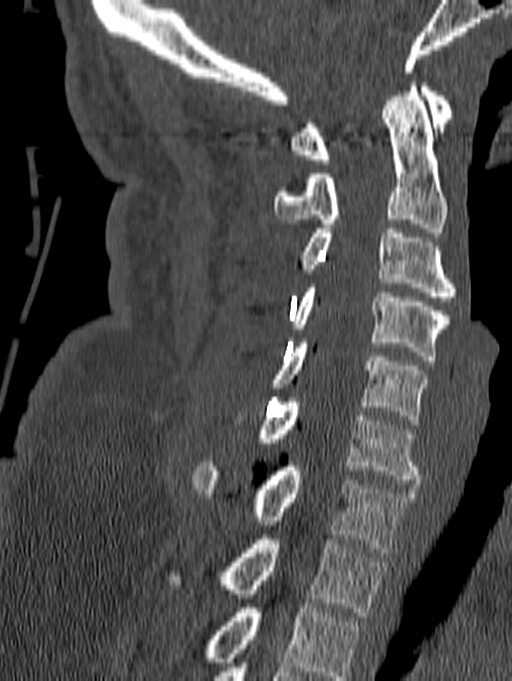
Computed tomography of the spine; sagittal view; image width 140 mm

In this scan, the topmost labeled vertebra is C1 and the lowest is T1.
<vertebrae><v name="C1" x1="289" y1="82" x2="453" y2="164"/><v name="C2" x1="274" y1="82" x2="447" y2="232"/><v name="C3" x1="300" y1="229" x2="456" y2="301"/><v name="C4" x1="290" y1="283" x2="450" y2="360"/><v name="C5" x1="269" y1="338" x2="428" y2="424"/><v name="C6" x1="257" y1="398" x2="421" y2="484"/><v name="C7" x1="192" y1="462" x2="414" y2="552"/><v name="T1" x1="169" y1="535" x2="385" y2="616"/></vertebrae>